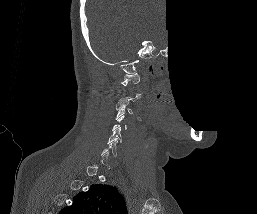

CT spine · sagittal view · bone-window reconstruction · 257x214 px · part of the image is constant black where the scan was masked
Boxes: x1 y1 x2 y2 (pixel coords, space-separated). Each vertebra is boxed only on the slices from the first to the last where its cross-section reaches a third of its largest, so a slice outside that range leaves it unboxed. Vertebrae labeled: C1 at 120 73 140 85, C3 at 115 102 133 119, C4 at 112 115 128 130, C5 at 107 128 121 143, C6 at 100 141 117 156.